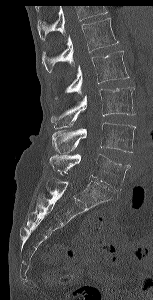

CT spine. sagittal reformat. bone-window reconstruction
Box edges are left/top/right/bottom in pixels. No box is given to a vertebra that the top edge of the scan cuts off. The labeled vertebrae in this slice are: L5 at left=49, top=153, right=130, bottom=190, L4 at left=52, top=122, right=135, bottom=152, L3 at left=51, top=87, right=135, bottom=128, L2 at left=54, top=50, right=129, bottom=99, L1 at left=42, top=18, right=118, bottom=73.